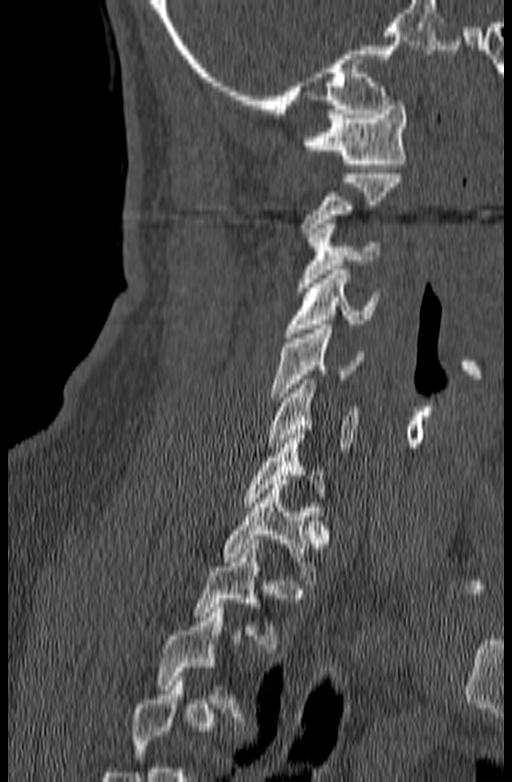 CT spine; sagittal view; bone window; 512x782 px
Coordinates as <box>x1,y1,x2,y2</box>. Each vertebra is boxed only on the slices from the first to the last where its cross-section reaches a third of its largest, so a slice outside that range leaves it unboxed. The labeled vertebrae in this slice are: C1 at <box>302,101,408,168</box>, C2 at <box>300,169,402,232</box>, C3 at <box>297,224,379,292</box>, C4 at <box>284,270,380,337</box>, C5 at <box>271,325,363,401</box>, C6 at <box>268,379,359,452</box>, T1 at <box>221,480,328,584</box>.